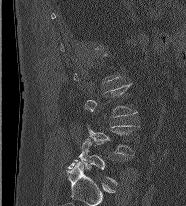

CT, spine — sagittal view — bone-window reconstruction — 186x206 px. Coordinates as <box>x1,y1,x2,y2</box>.
A vertebra is boxed only from the first to the last slice where its cross-section is at least a third of its largest; slices outside that range leave it without a box.
L4: <box>88,125,140,156</box>
L5: <box>68,139,116,183</box>